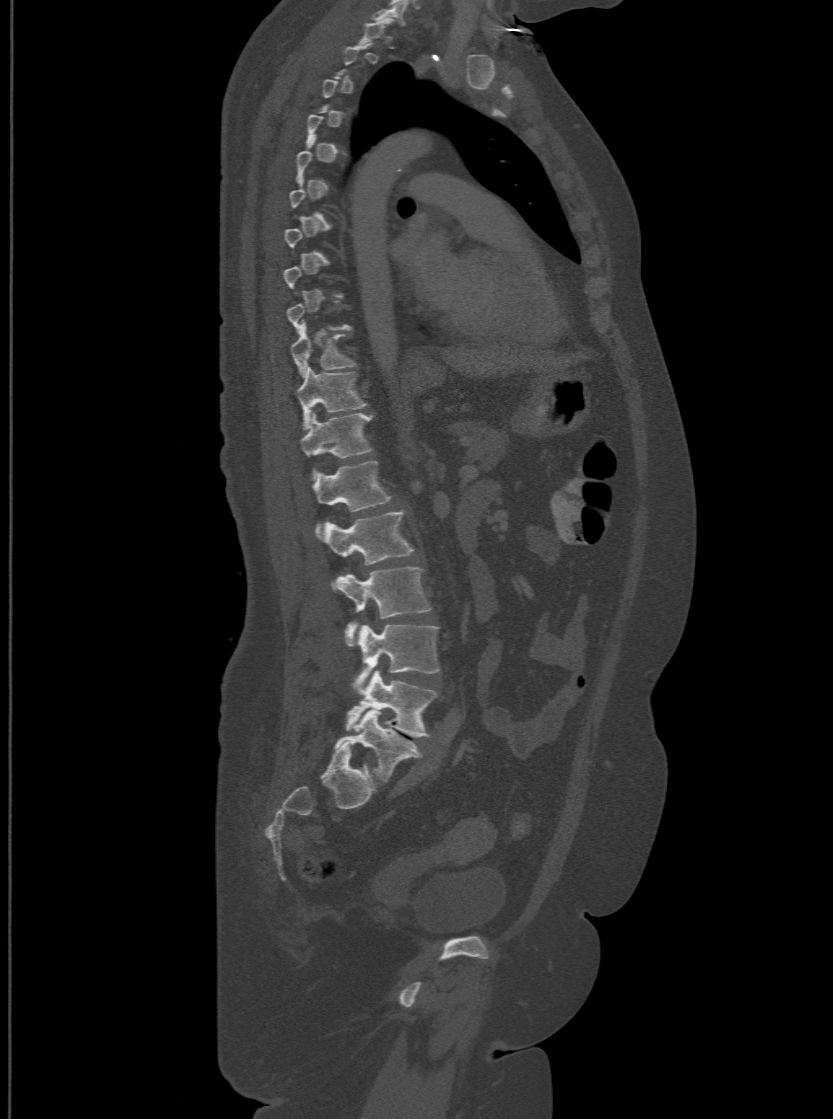
CT — sagittal view — 833x1119 px
Boxes are given in columns x1, y1, x2, y2, the pixel coordinates of their top-left and bottom-right corners.
Not every vertebra on this slice has a box: a vertebra is boxed only from the first to the last slice where its cross-section is at least a third of its largest, and this slice is outside that range for at least one of them.
The labels name a sixth lumbar vertebra for this spine: L6, after L5.
| vertebra | x1 | y1 | x2 | y2 |
|---|---|---|---|---|
| L6 | 335 | 709 | 421 | 782 |
| L5 | 347 | 671 | 437 | 737 |
| L4 | 355 | 624 | 438 | 692 |
| L3 | 337 | 566 | 430 | 645 |
| L2 | 322 | 510 | 412 | 565 |
| L1 | 312 | 460 | 391 | 531 |
| T12 | 299 | 412 | 370 | 477 |
| T11 | 296 | 365 | 365 | 427 |
| T10 | 290 | 323 | 355 | 374 |